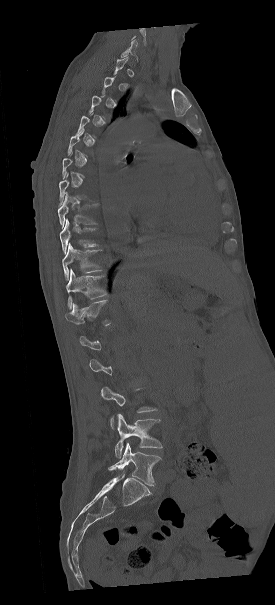

Computed tomography of the spine. sagittal view. bone-window reconstruction. Box edges are left/top/right/bottom in pixels.
Not every vertebra on this slice has a box: a vertebra is boxed only from the first to the last slice where its cross-section is at least a third of its largest, and this slice is outside that range for at least one of them.
Vertebra bounding boxes:
- T8: left=57, top=192, right=98, bottom=226
- T9: left=60, top=219, right=96, bottom=253
- T10: left=62, top=244, right=102, bottom=279
- T11: left=66, top=269, right=106, bottom=308
- T12: left=65, top=300, right=110, bottom=325
- L4: left=114, top=414, right=162, bottom=457
- L5: left=109, top=442, right=160, bottom=486